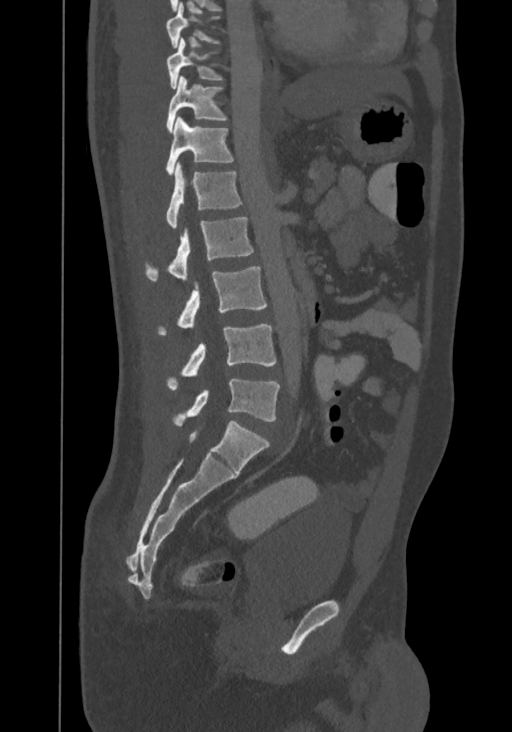
Spine computed tomography. sagittal view
Bounding boxes as [x1, y1, x2, y2] in pixel coordinates.
Labels in this scan begin with T8 at the top and end with L4 at the bottom.
Vertebra bounding boxes:
- T8: [166, 3, 219, 48]
- T9: [167, 36, 222, 89]
- T10: [166, 75, 228, 132]
- T11: [166, 116, 233, 175]
- T12: [166, 163, 242, 228]
- L1: [145, 217, 253, 280]
- L2: [157, 266, 267, 335]
- L3: [167, 324, 276, 389]
- L4: [173, 378, 279, 426]